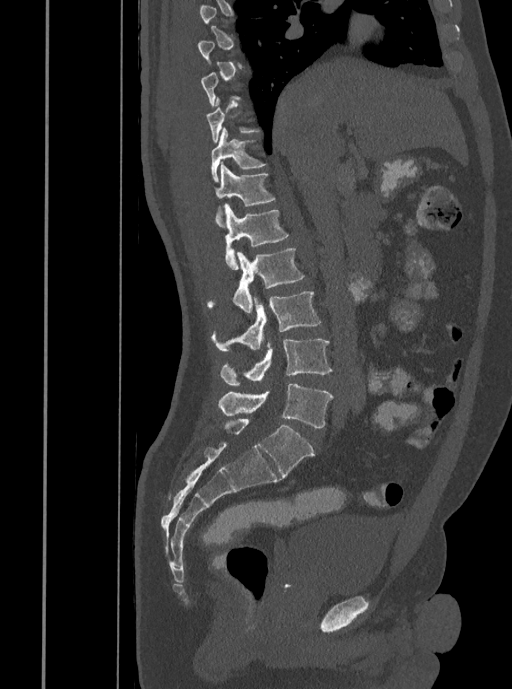 Computed tomography of the spine · sagittal view · Bone window (WL 400, WW 1800) · 512x689 px
Coordinates as <box>x1,y1,x2,y2</box>. A vertebra is boxed only from the first to the last slice where its cross-section is at least a third of its largest; slices outside that range leave it without a box. 7 vertebrae labeled — T11 at <box>211,128,265,181</box>; T12 at <box>214,162,275,227</box>; L1 at <box>224,204,289,269</box>; L2 at <box>207,248,304,313</box>; L3 at <box>212,291,321,350</box>; L4 at <box>220,339,331,385</box>; L5 at <box>218,383,333,428</box>.